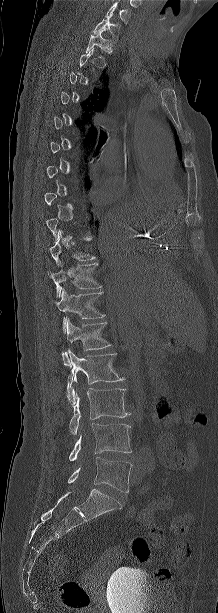
CT, spine. sagittal reformat. the image spans 218 mm across. 218x613 px
A vertebra gets a box only on the slices from the first to the last where its cross-section is at least a third of its largest; on a slice outside that range it gets none.
In this scan, the topmost labeled vertebra is C7 and the lowest is L5.
<vertebrae><v name="C7" x1="93" y1="17" x2="119" y2="40"/><v name="T1" x1="85" y1="30" x2="112" y2="58"/><v name="T10" x1="49" y1="230" x2="95" y2="265"/><v name="T11" x1="50" y1="263" x2="102" y2="297"/><v name="T12" x1="55" y1="288" x2="105" y2="333"/><v name="L1" x1="62" y1="318" x2="111" y2="365"/><v name="L2" x1="67" y1="349" x2="124" y2="406"/><v name="L3" x1="69" y1="388" x2="129" y2="435"/><v name="L4" x1="69" y1="423" x2="131" y2="460"/><v name="L5" x1="68" y1="457" x2="132" y2="492"/></vertebrae>